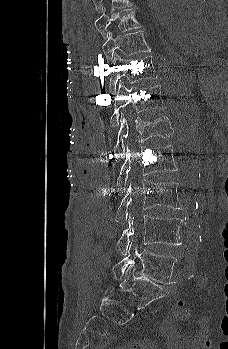 Spine CT — sagittal view — 228x349 px
Boxes: x1 y1 x2 y2 (pixel coords, space-separated).
T9: 94 7 140 38
T10: 101 30 151 63
T11: 109 54 157 94
T12: 109 80 165 126
L1: 114 111 173 153
L2: 116 145 178 186
L3: 115 179 183 222
L4: 116 213 185 254
L5: 112 240 177 284